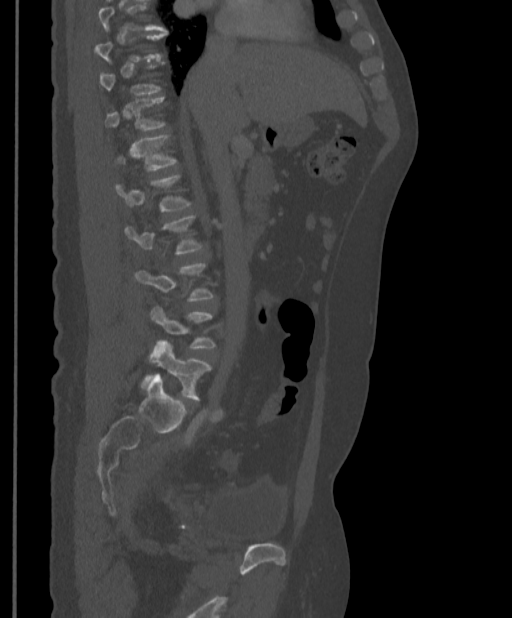
CT — sagittal reformat. Bounding boxes as [x1, y1, x2, y2] in pixel coordinates. A vertebra gets a box only on the slices from the first to the last where its cross-section is at least a third of its largest; on a slice outside that range it gets none. Vertebrae labeled: T11 at [106, 97, 165, 131], T12 at [116, 134, 177, 171], L1 at [115, 174, 191, 212], L2 at [125, 215, 203, 254], L4 at [150, 306, 216, 349], L5 at [146, 340, 212, 400].